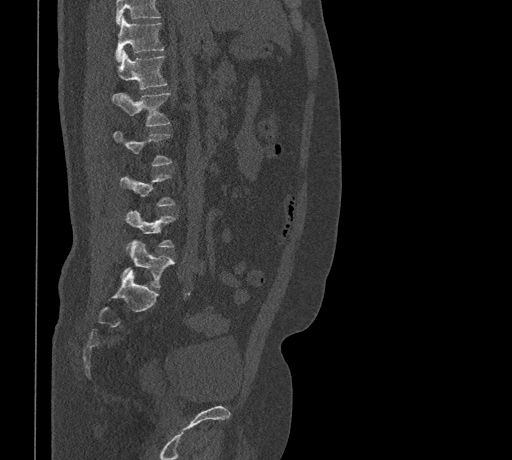 CT spine · sagittal reformat · 512x460 px

Box values are [left, top, right, bottom] in pixels.
Where the top of the scan cuts through a vertebra, that vertebra gets no label or box.
{"vertebrae":{"L5":[121,240,174,288],"L4":[126,210,175,248],"L3":[120,173,174,206],"L2":[113,131,172,166],"L1":[112,92,171,126],"T12":[118,51,167,89],"T11":[116,17,164,61]}}